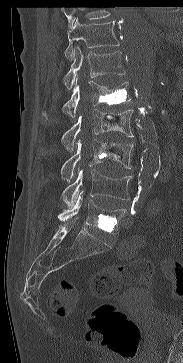 Computed tomography of the spine — sagittal view
Boxes are (x1, y1, x2, y2) in pixels.
Where the top of the scan cuts through a vertebra, that vertebra gets no label or box.
T11: (64, 18, 119, 59)
T12: (63, 47, 125, 89)
L1: (43, 78, 130, 119)
L2: (62, 109, 133, 151)
L3: (61, 139, 133, 181)
L4: (62, 169, 132, 208)
L5: (58, 191, 125, 233)